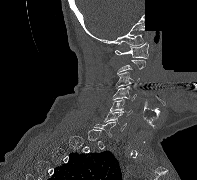

CT. sagittal view. image width 197 mm. part of the image is constant black where the scan was masked. Each box given as x1,y1,x2,y2.
A vertebra gets a box only on the slices from the first to the last where its cross-section is at least a third of its largest; on a slice outside that range it gets none.
Vertebra bounding boxes:
- C6: x1=104, y1=112, x2=126, y2=131
- C5: x1=109, y1=99, x2=132, y2=116
- C4: x1=113, y1=86, x2=136, y2=101
- C3: x1=115, y1=72, x2=139, y2=88
- C1: x1=115, y1=42, x2=148, y2=58